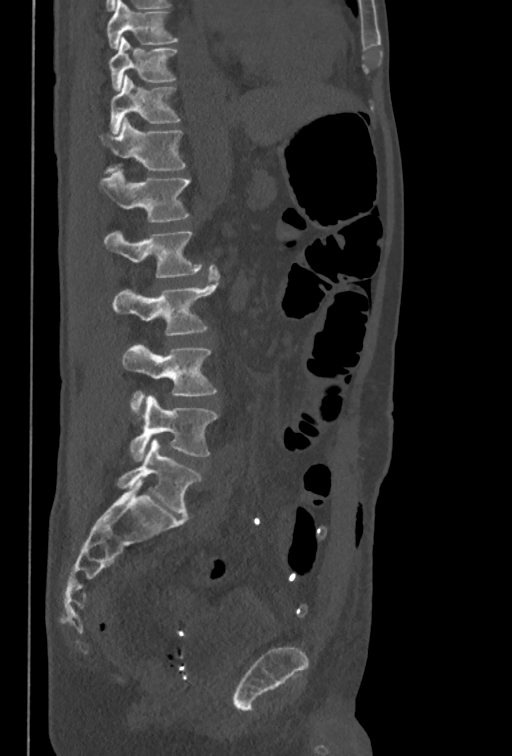

CT, spine — sagittal view — W/L 1800/400 HU — 512x756 px
Boxes are given in columns x1, y1, x2, y2, the pixel coordinates of their top-left and bottom-right corners.
The highest labeled vertebra in this scan is T10; the lowest is L5.
| vertebra | x1 | y1 | x2 | y2 |
|---|---|---|---|---|
| L5 | 130 | 396 | 218 | 461 |
| L4 | 121 | 344 | 217 | 411 |
| L3 | 112 | 265 | 219 | 335 |
| L2 | 104 | 230 | 202 | 277 |
| L1 | 99 | 171 | 190 | 222 |
| T12 | 98 | 117 | 186 | 173 |
| T11 | 109 | 75 | 180 | 133 |
| T10 | 109 | 37 | 177 | 91 |